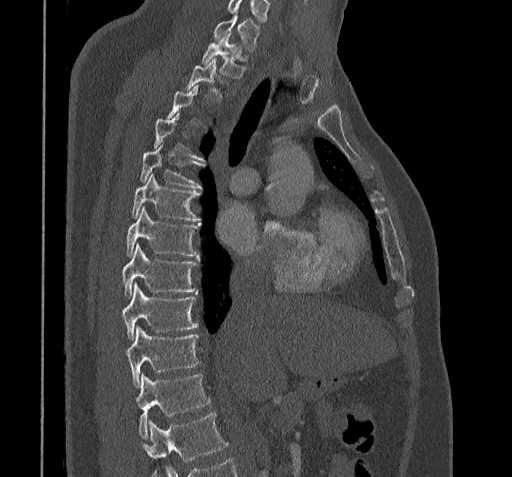

CT, spine · sagittal view · 322 mm across the image

Not every vertebra on this slice has a box: a vertebra is boxed only from the first to the last slice where its cross-section is at least a third of its largest, and this slice is outside that range for at least one of them.
No box is given to a vertebra that the bottom edge of the scan cuts off.
<vertebrae><v name="C7" x1="212" y1="14" x2="258" y2="49"/><v name="T1" x1="201" y1="33" x2="245" y2="76"/><v name="T5" x1="139" y1="146" x2="205" y2="188"/><v name="T6" x1="132" y1="175" x2="199" y2="221"/><v name="T7" x1="127" y1="206" x2="197" y2="257"/><v name="T8" x1="121" y1="245" x2="197" y2="295"/><v name="T9" x1="121" y1="285" x2="197" y2="338"/><v name="T10" x1="125" y1="326" x2="197" y2="387"/><v name="T11" x1="133" y1="374" x2="210" y2="437"/></vertebrae>